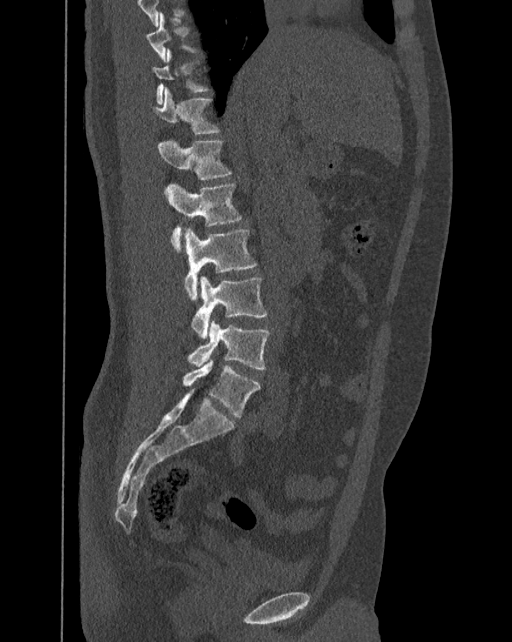

Spine computed tomography. sagittal view. W/L 1800/400 HU
Boxes: x1:y1:x2:y2 in pixels.
The labels name a sixth lumbar vertebra for this spine: L6, after L5.
Vertebra bounding boxes:
- T10: 146:12:199:61
- T11: 153:48:209:104
- T12: 155:87:220:134
- L1: 158:139:231:180
- L2: 164:183:242:252
- L3: 184:228:257:300
- L4: 191:276:267:339
- L5: 187:320:269:369
- L6: 183:360:260:417